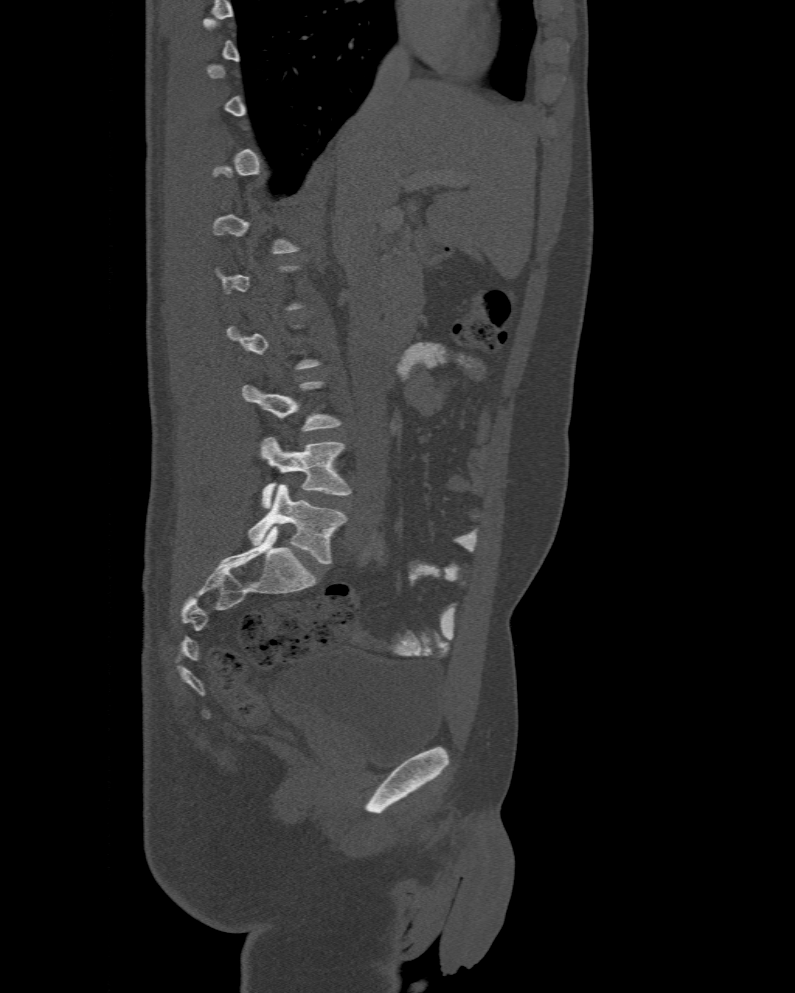

Spine computed tomography. sagittal view. image 477 mm wide. 795x993 px
Each row gives a vertebra's box as x1, y1, x2, y2 in pixels: top-left corner, then bottom-right corner.
Each vertebra is boxed only on the slices from the first to the last where its cross-section reaches a third of its largest, so a slice outside that range leaves it unboxed.
In these labels the spine has an L6, a sixth lumbar vertebra below L5.
| vertebra | x1 | y1 | x2 | y2 |
|---|---|---|---|---|
| L5 | 259 | 437 | 350 | 508 |
| L6 | 248 | 483 | 345 | 564 |